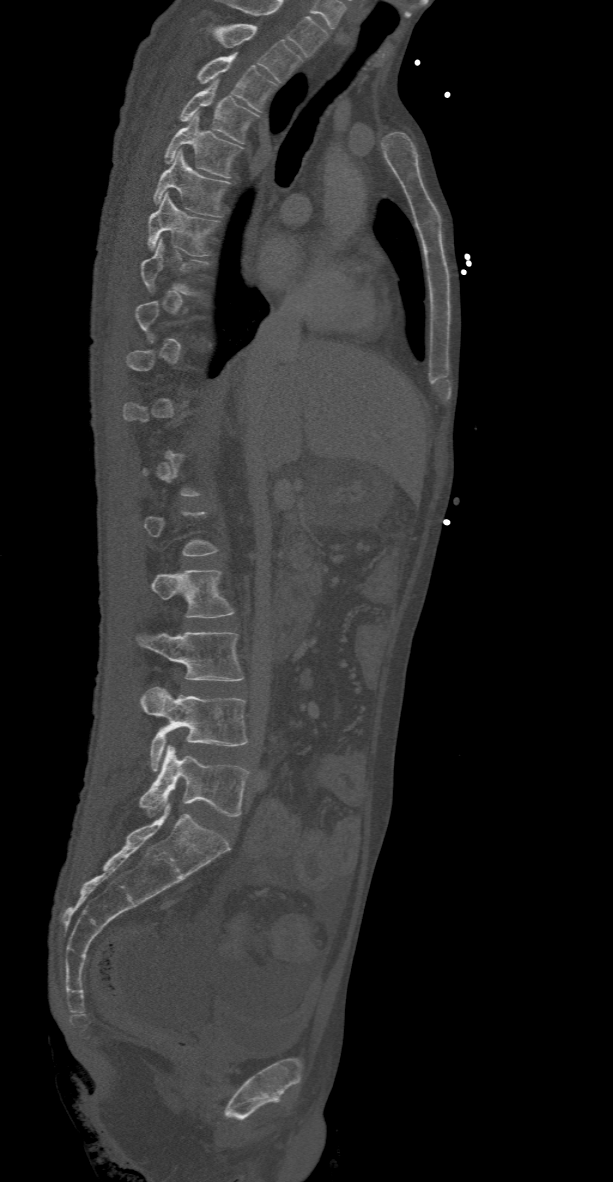 Computed tomography of the spine. sagittal view. 613x1182 px

Each box given as x1,y1,x2,y2.
A vertebra is boxed only from the first to the last slice where its cross-section is at least a third of its largest; slices outside that range leave it without a box.
This scan's labels start at T2 at the top and end at L5 at the bottom.
| vertebra | x1 | y1 | x2 | y2 |
|---|---|---|---|---|
| T2 | 214 | 24 | 301 | 81 |
| T3 | 196 | 54 | 277 | 110 |
| T4 | 180 | 79 | 259 | 143 |
| T5 | 164 | 113 | 242 | 178 |
| T6 | 153 | 151 | 229 | 216 |
| T7 | 149 | 192 | 217 | 255 |
| L2 | 151 | 571 | 234 | 618 |
| L3 | 135 | 632 | 243 | 680 |
| L4 | 140 | 687 | 248 | 771 |
| L5 | 139 | 746 | 248 | 816 |